CT, spine. Sagittal slice 57/118. bone window
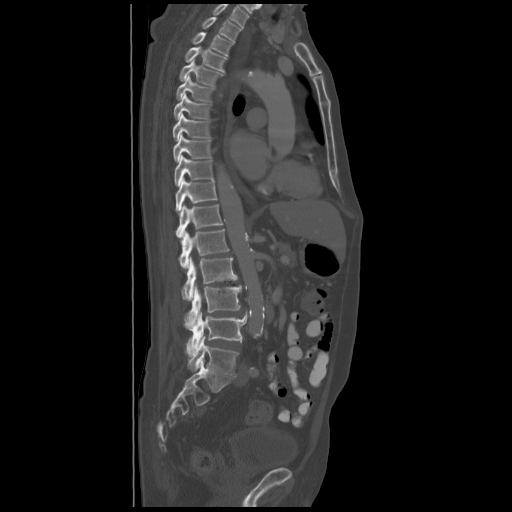 Box values are [left, top, right, bottom] in pixels.
The highest labeled vertebra in this scan is T2; the lowest is L5.
{"vertebrae":{"L5":[188,337,239,377],"L4":[187,311,246,354],"L3":[184,284,241,327],"L2":[182,257,238,300],"L1":[178,229,228,268],"T12":[176,204,223,237],"T11":[176,177,217,211],"T10":[174,155,213,186],"T9":[173,134,211,161],"T8":[172,113,210,141],"T7":[173,93,211,118],"T6":[176,75,214,101],"T5":[179,61,223,85],"T4":[184,47,227,71],"T3":[191,32,233,55],"T2":[201,17,241,42]}}